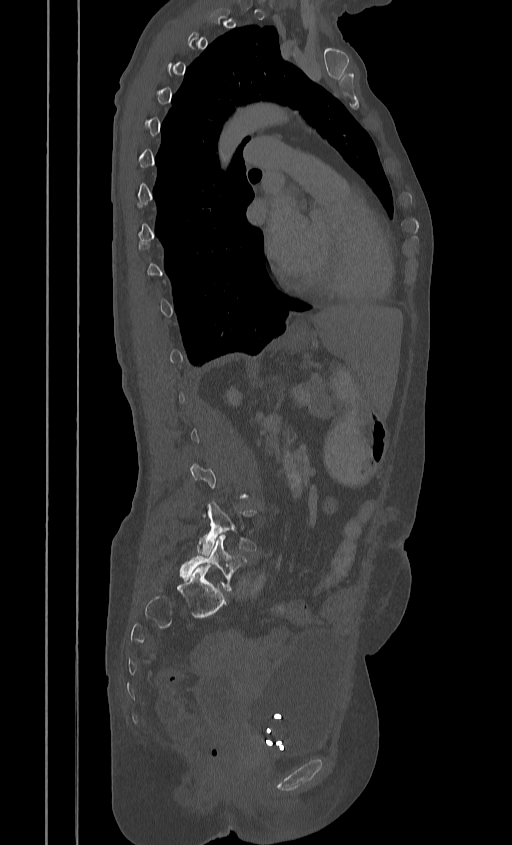
CT spine; sagittal view; Bone window (WL 400, WW 1800); 512x845 px. In the table, x1 and y1 are a box's top-left corner and x2 and y2 its bottom-right corner, in pixels.
A vertebra is boxed only from the first to the last slice where its cross-section is at least a third of its largest; slices outside that range leave it without a box.
| vertebra | x1 | y1 | x2 | y2 |
|---|---|---|---|---|
| L4 | 197 | 503 | 256 | 555 |
| L5 | 178 | 535 | 247 | 591 |